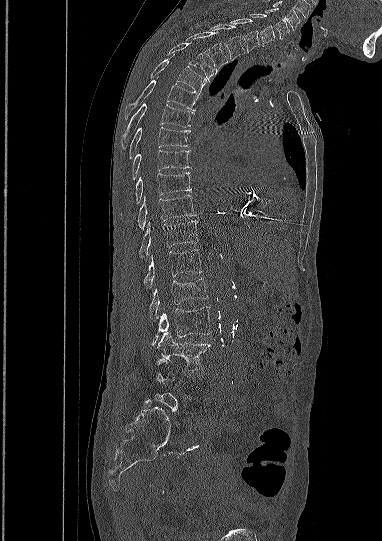
CT. sagittal view. bone-window reconstruction. image width 382 mm

Box edges are left/top/right/bottom in pixels. Not every vertebra on this slice has a box: a vertebra is boxed only from the first to the last slice where its cross-section is at least a third of its largest, and this slice is outside that range for at least one of them. The labeled vertebrae in this slice are: C5 at left=264, top=8, right=289, bottom=40, C6 at left=250, top=14, right=276, bottom=47, C7 at left=231, top=18, right=259, bottom=52, T1 at left=210, top=24, right=244, bottom=60, T2 at left=186, top=32, right=227, bottom=72, T3 at left=168, top=43, right=215, bottom=81, T4 at left=150, top=55, right=207, bottom=92, T5 at left=124, top=77, right=199, bottom=116, T6 at left=121, top=103, right=193, bottom=149, T7 at left=128, top=127, right=190, bottom=159, T8 at left=130, top=150, right=189, bottom=180, T9 at left=121, top=172, right=191, bottom=213, T10 at left=138, top=194, right=195, bottom=229, T11 at left=139, top=220, right=198, bottom=258, T12 at left=143, top=250, right=202, bottom=287, L1 at left=149, top=279, right=207, bottom=321, L2 at left=152, top=306, right=211, bottom=345, L3 at left=157, top=332, right=210, bottom=366.